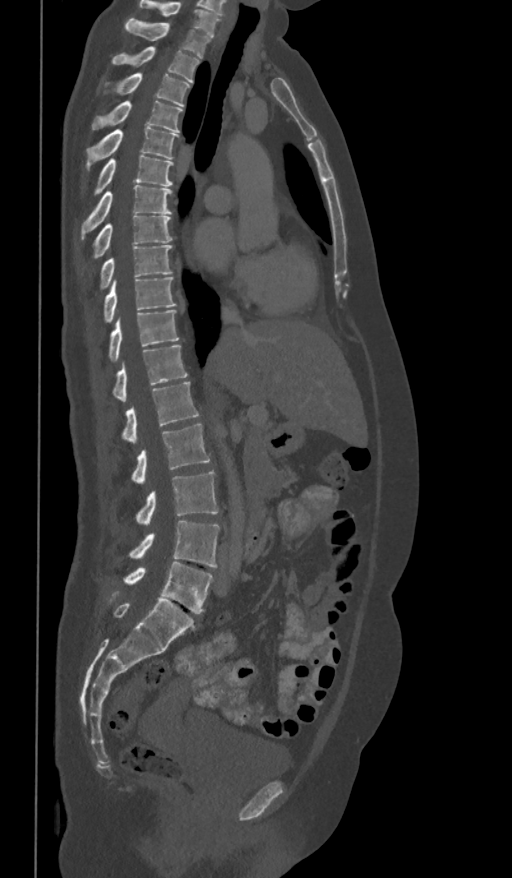

CT. image width 361 mm. sagittal reformat. Each row gives a vertebra's box as x1, y1, x2, y2 in pixels: top-left corner, then bottom-right corner.
The highest labeled vertebra in this scan is T1; the lowest is L5.
| vertebra | x1 | y1 | x2 | y2 |
|---|---|---|---|---|
| L5 | 123 | 562 | 213 | 613 |
| L4 | 129 | 521 | 219 | 567 |
| L3 | 136 | 471 | 219 | 524 |
| L2 | 132 | 423 | 210 | 483 |
| L1 | 122 | 382 | 199 | 443 |
| T12 | 112 | 345 | 187 | 401 |
| T11 | 108 | 310 | 179 | 362 |
| T10 | 103 | 277 | 176 | 323 |
| T9 | 99 | 244 | 172 | 290 |
| T8 | 92 | 216 | 172 | 259 |
| T7 | 81 | 185 | 172 | 238 |
| T6 | 92 | 154 | 173 | 196 |
| T5 | 86 | 126 | 179 | 170 |
| T4 | 92 | 101 | 183 | 132 |
| T3 | 103 | 73 | 190 | 106 |
| T2 | 112 | 47 | 199 | 82 |
| T1 | 125 | 18 | 210 | 58 |